CT · the image spans 342 mm across · sagittal view
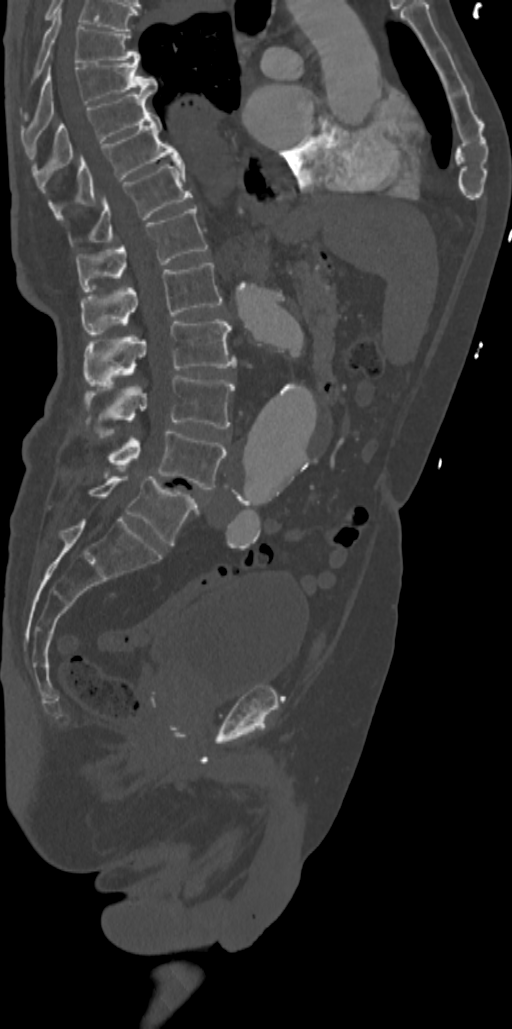
Boxes are (x1, y1, x2, y2) in pixels. Vertebrae labeled: L5 at (88, 476, 198, 545), L4 at (106, 429, 226, 489), L3 at (84, 375, 234, 430), L2 at (84, 319, 235, 383), L1 at (81, 263, 222, 336), T12 at (76, 207, 207, 291), T11 at (69, 162, 192, 246), T10 at (48, 112, 181, 217), T9 at (31, 90, 153, 174), T8 at (21, 61, 157, 138), T7 at (20, 11, 140, 120).